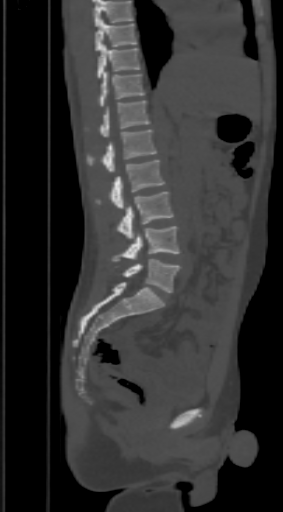
CT, spine · sagittal view · Bone window (WL 400, WW 1800) · 283x512 px. Boxes are (x1, y1, x2, y2) in pixels. Vertebrae that run past the top of the scan are left unlabeled. Vertebrae labeled: T9 at (95, 19, 136, 51), T10 at (98, 45, 139, 78), T11 at (98, 72, 145, 106), T12 at (101, 101, 150, 137), L1 at (87, 129, 156, 172), L2 at (95, 160, 164, 208), L3 at (118, 191, 173, 238), L4 at (112, 226, 178, 261), L5 at (123, 259, 181, 292).